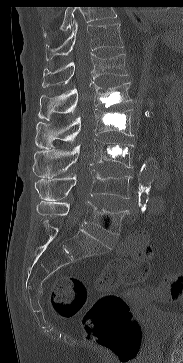 Computed tomography of the spine; sagittal reformat; bone window; 183x363 px

Where the top of the scan cuts through a vertebra, that vertebra gets no label or box.
<vertebrae><v name="T11" x1="46" y1="20" x2="123" y2="60"/><v name="T12" x1="42" y1="53" x2="127" y2="87"/><v name="L1" x1="38" y1="81" x2="131" y2="120"/><v name="L2" x1="35" y1="109" x2="133" y2="149"/><v name="L3" x1="33" y1="139" x2="133" y2="178"/><v name="L4" x1="35" y1="169" x2="132" y2="200"/><v name="L5" x1="36" y1="201" x2="128" y2="234"/></vertebrae>